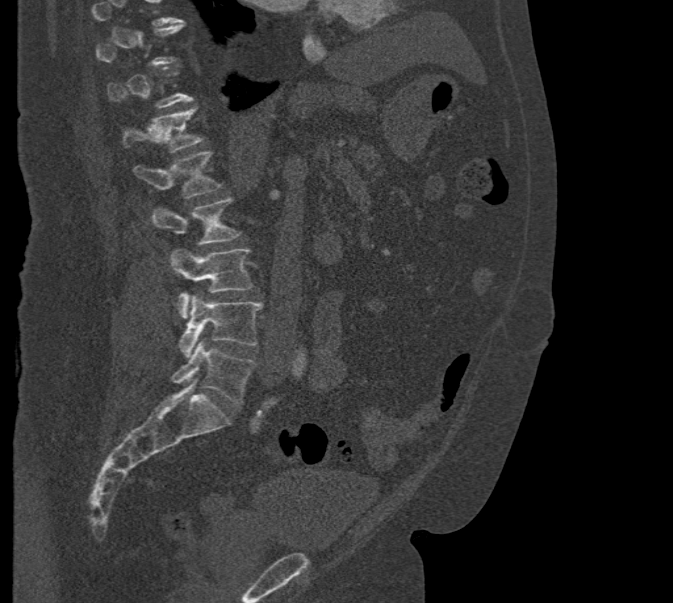

Spine CT — sagittal reformat — Bone window (WL 400, WW 1800) — 673x603 px. Bounding boxes as [x1, y1, x2, y2] in pixel coordinates. A vertebra gets a box only on the slices from the first to the last where its cross-section is at least a third of its largest; on a slice outside that range it gets none. 6 vertebrae labeled — L5 at [170, 340, 255, 404]; L4 at [179, 295, 262, 357]; L3 at [168, 249, 253, 318]; L2 at [151, 198, 241, 262]; L1 at [134, 150, 222, 198]; T12 at [122, 106, 203, 152].